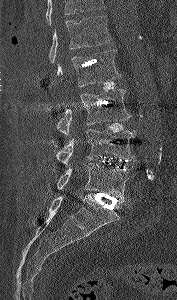 CT. 177 mm image width. sagittal view. bone window. Each row gives a vertebra's box as x1, y1, x2, y2 in pixels: top-left corner, then bottom-right corner.
Where the top of the scan cuts through a vertebra, that vertebra gets no label or box.
| vertebra | x1 | y1 | x2 | y2 |
|---|---|---|---|---|
| L1 | 48 | 15 | 112 | 63 |
| L2 | 57 | 50 | 121 | 86 |
| L3 | 56 | 89 | 130 | 137 |
| L4 | 42 | 128 | 135 | 167 |
| L5 | 56 | 163 | 134 | 202 |